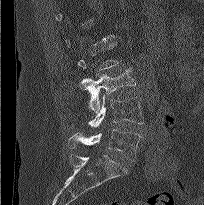 CT. 204 mm image width. sagittal view. 204x205 px. Boxes: x1:y1:x2:y2 in pixels.
Each vertebra is boxed only on the slices from the first to the last where its cross-section reaches a third of its largest, so a slice outside that range leaves it unboxed.
Vertebra bounding boxes:
- L3: 79:68:136:113
- L4: 70:95:144:128
- L5: 68:129:140:161